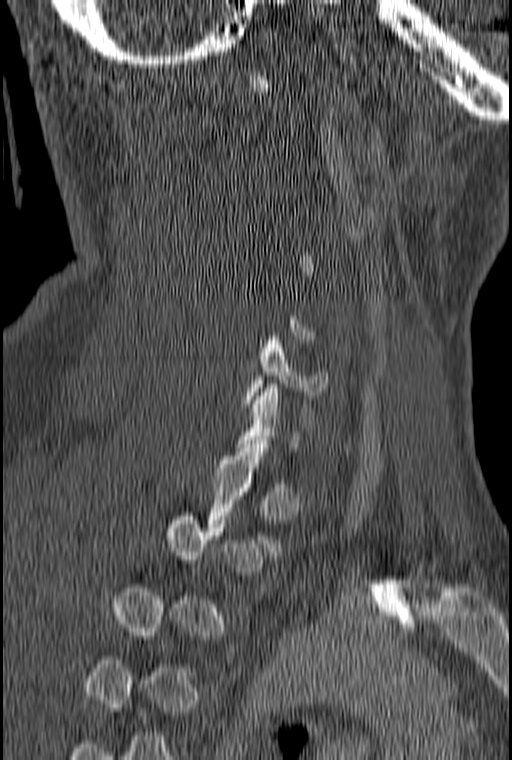 Computed tomography of the spine; the image spans 160 mm across; sagittal view
Bounding boxes as [x1, y1, x2, y2] in pixel coordinates.
Not every vertebra on this slice has a box: a vertebra is boxed only from the first to the last slice where its cross-section is at least a third of its largest, and this slice is outside that range for at least one of them.
Vertebra bounding boxes:
- C6: [245, 332, 330, 403]
- T1: [203, 444, 282, 555]